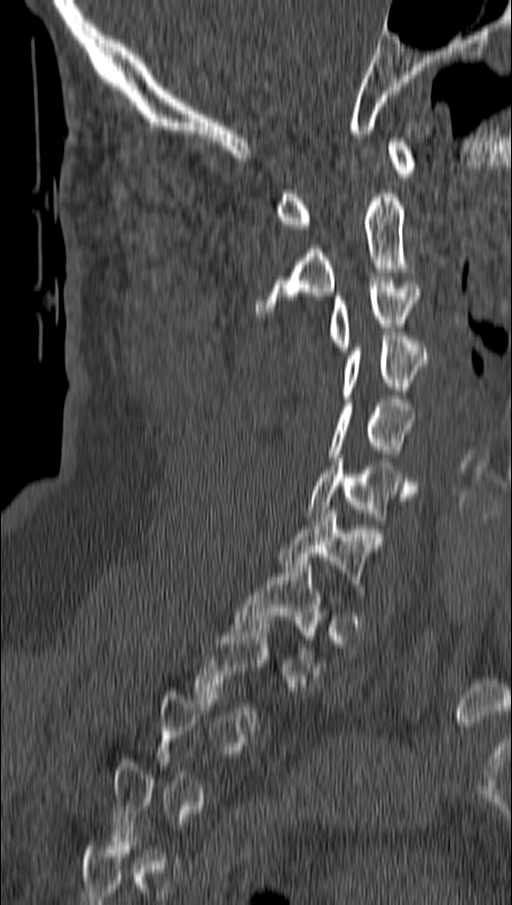
CT spine — sagittal reformat
Boxes: x1:y1:x2:y2 in pixels.
A vertebra is boxed only from the first to the last slice where its cross-section is at least a third of its largest; slices outside that range leave it without a box.
C1: 276:138:415:228
C2: 257:190:405:315
C3: 330:280:418:351
C4: 342:336:427:398
C5: 330:399:414:457
C6: 308:458:417:524
C7: 279:510:370:588
T1: 232:561:322:675